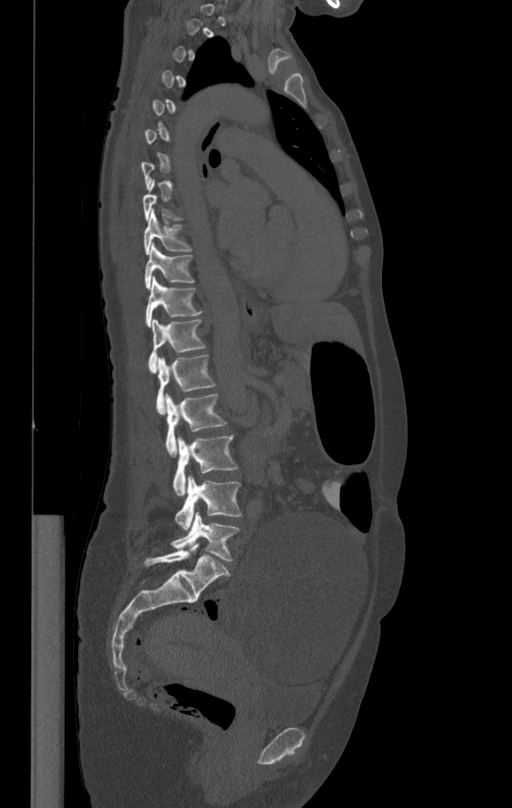

Computed tomography of the spine; the image is 412 mm wide; sagittal reformat. Bounding boxes as [x1, y1, x2, y2] in pixel coordinates. Not every vertebra on this slice has a box: a vertebra is boxed only from the first to the last slice where its cross-section is at least a third of its largest, and this slice is outside that range for at least one of them. The labeled vertebrae in this slice are: T9 at [143, 211, 191, 255], T10 at [144, 245, 195, 289], T11 at [145, 277, 203, 327], T12 at [148, 319, 205, 371], L1 at [156, 353, 215, 414], L2 at [165, 394, 226, 456], L3 at [173, 435, 237, 496], L4 at [175, 475, 241, 529], L5 at [170, 512, 239, 560].